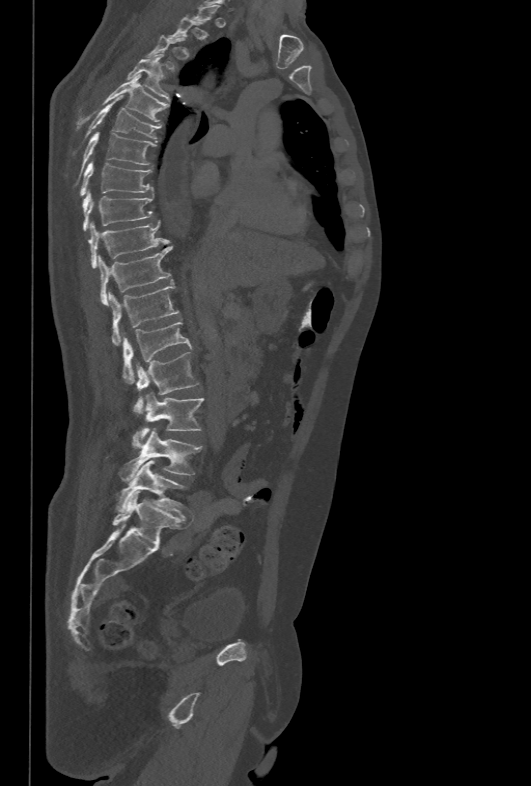

CT — sagittal view — 531x786 px
Boxes: x1:y1:x2:y2 in pixels.
Not every vertebra on this slice has a box: a vertebra is boxed only from the first to the last slice where its cross-section is at least a third of its largest, and this slice is outside that range for at least one of them.
L5: 115:460:186:514
L4: 120:426:202:481
L3: 138:393:203:441
L2: 133:352:199:414
L1: 122:322:192:383
T12: 109:283:178:345
T11: 99:247:170:305
T10: 88:220:168:268
T9: 82:190:153:231
T8: 80:162:153:196
T7: 81:132:156:169
T6: 73:96:160:155
T5: 76:75:169:128
T4: 127:54:169:102